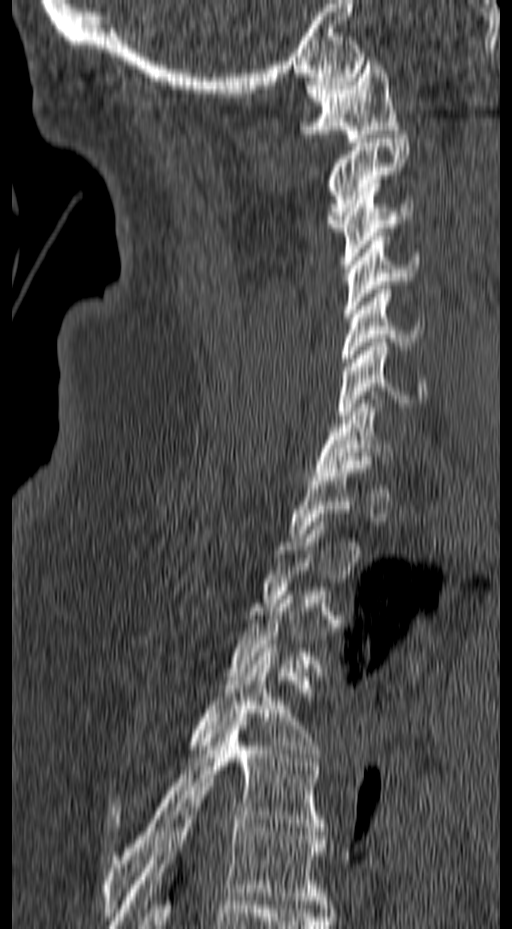

Spine CT; sagittal view. In the table, x1 and y1 are a box's top-left corner and x2 and y2 its bottom-right corner, in pixels.
Each vertebra is boxed only on the slices from the first to the last where its cross-section reaches a third of its largest, so a slice outside that range leaves it unboxed.
| vertebra | x1 | y1 | x2 | y2 |
|---|---|---|---|---|
| T6 | 110 | 787 | 326 | 928 |
| T5 | 102 | 713 | 324 | 916 |
| T4 | 110 | 648 | 323 | 827 |
| C7 | 314 | 391 | 391 | 476 |
| C6 | 337 | 338 | 427 | 419 |
| C5 | 340 | 285 | 424 | 370 |
| C4 | 344 | 232 | 418 | 317 |
| C3 | 339 | 183 | 414 | 268 |
| C2 | 324 | 130 | 411 | 231 |
| C1 | 300 | 61 | 399 | 142 |